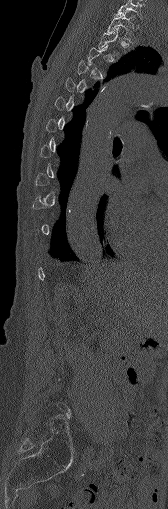
CT spine · the image spans 168 mm across · sagittal view · Bone window (WL 400, WW 1800) · 168x509 px
Each box is [x1, y1, x2, y2] in pixels: top-left corner, then bottom-right corner.
Not every vertebra on this slice has a box: a vertebra is boxed only from the first to the last slice where its cross-section is at least a third of its largest, and this slice is outside that range for at least one of them.
{"vertebrae":{"C7":[116,0,142,20],"T1":[107,11,135,42]}}